CT spine — sagittal plane, index 77 — 154x295 px — 5 vertebrae labeled in this scan
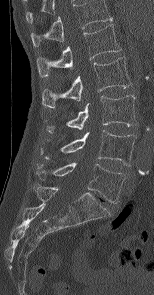
In this scan, the topmost labeled vertebra is L1 and the lowest is L5.
<vertebrae><v name="L5" x1="37" y1="163" x2="127" y2="203"/><v name="L4" x1="41" y1="130" x2="135" y2="165"/><v name="L3" x1="47" y1="95" x2="136" y2="132"/><v name="L2" x1="42" y1="57" x2="131" y2="108"/><v name="L1" x1="37" y1="24" x2="121" y2="76"/></vertebrae>